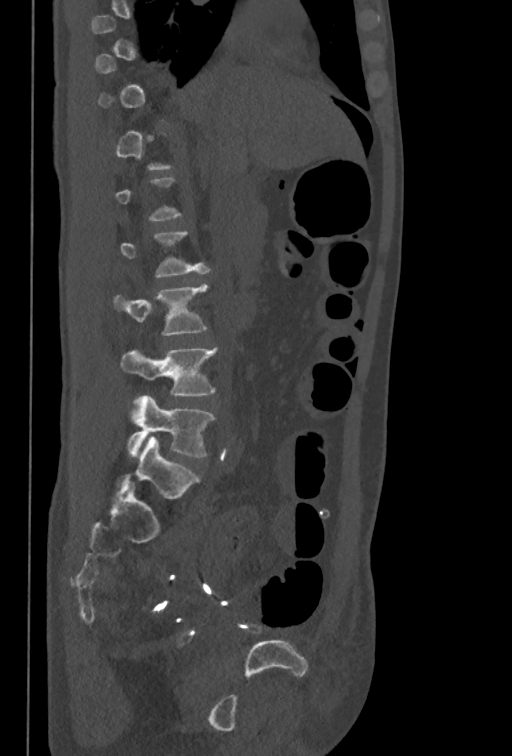 CT spine · 350 mm wide · sagittal view · bone window
Boxes: x1:y1:x2:y2 in pixels.
A vertebra gets a box only on the slices from the first to the last where its cross-section is at least a third of its largest; on a slice outside that range it gets none.
L3: 112:284:208:335
L4: 120:348:217:402
L5: 126:395:215:457